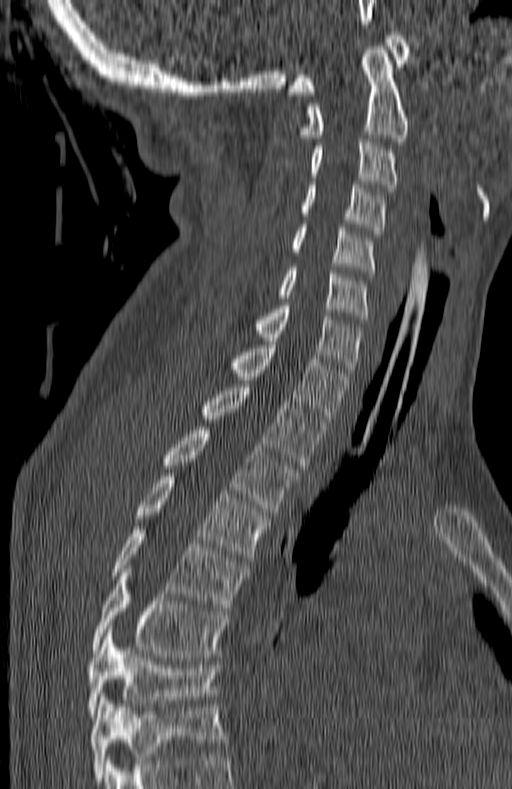
Spine computed tomography. sagittal reformat
In this scan, the topmost labeled vertebra is C1 and the lowest is T7.
<vertebrae><v name="C1" x1="287" y1="32" x2="409" y2="95"/><v name="C2" x1="300" y1="43" x2="410" y2="141"/><v name="C3" x1="308" y1="142" x2="398" y2="195"/><v name="C4" x1="300" y1="181" x2="387" y2="237"/><v name="C5" x1="291" y1="224" x2="375" y2="276"/><v name="C6" x1="277" y1="267" x2="370" y2="323"/><v name="C7" x1="254" y1="302" x2="364" y2="376"/><v name="T1" x1="228" y1="341" x2="349" y2="422"/><v name="T2" x1="200" y1="384" x2="324" y2="468"/><v name="T3" x1="160" y1="427" x2="296" y2="511"/><v name="T4" x1="135" y1="473" x2="267" y2="561"/><v name="T5" x1="112" y1="526" x2="247" y2="611"/><v name="T6" x1="92" y1="569" x2="227" y2="657"/><v name="T7" x1="86" y1="629" x2="219" y2="717"/></vertebrae>